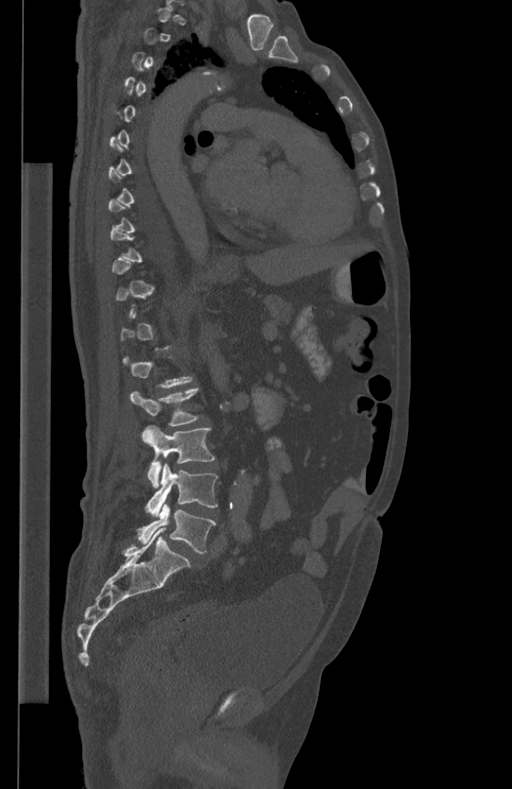

Computed tomography of the spine · sagittal view · Bone window (WL 400, WW 1800) · 512x789 px
In the table, x1 and y1 are a box's top-left corner and x2 and y2 its bottom-right corner, in pixels.
Each vertebra is boxed only on the slices from the first to the last where its cross-section reaches a third of its largest, so a slice outside that range leaves it unboxed.
| vertebra | x1 | y1 | x2 | y2 |
|---|---|---|---|---|
| L5 | 137 | 503 | 216 | 553 |
| L4 | 145 | 463 | 218 | 515 |
| L3 | 141 | 426 | 215 | 487 |
| L2 | 131 | 388 | 199 | 426 |